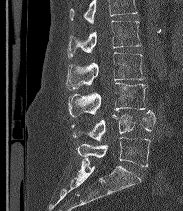

CT; sagittal view; 183x211 px; 183 mm image width
Boxes below are [x1, y1, x2, y2] in pixels.
A vertebra cut off by the top edge of the scan is not labeled and has no box.
In these labels the spine has an L6, a sixth lumbar vertebra below L5.
{"vertebrae":{"L2":[68,21,141,57],"L3":[66,52,145,90],"L4":[68,83,146,117],"L5":[72,110,155,142],"L6":[77,137,150,166]}}